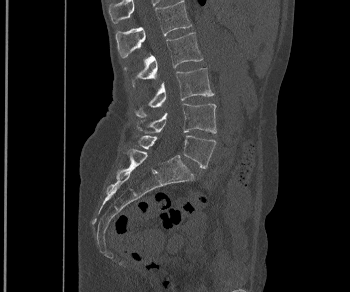 Spine computed tomography · sagittal view · image width 350 mm · 350x292 px
Each row gives a vertebra's box as x1, y1, x2, y2 in pixels: top-left corner, then bottom-right corner.
| vertebra | x1 | y1 | x2 | y2 |
|---|---|---|---|---|
| L1 | 115 | 0 | 191 | 57 |
| L2 | 124 | 32 | 202 | 88 |
| L3 | 135 | 68 | 213 | 117 |
| L4 | 138 | 103 | 216 | 133 |
| L5 | 138 | 135 | 216 | 168 |